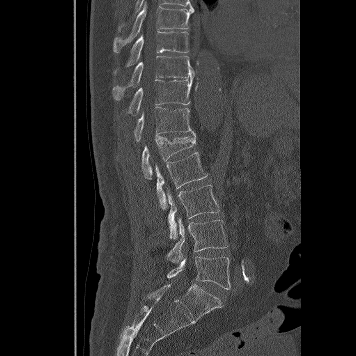 CT, spine — sagittal view
In the table, x1 and y1 are a box's top-left corner and x2 and y2 its bottom-right corner, in pixels.
| vertebra | x1 | y1 | x2 | y2 |
|---|---|---|---|---|
| L5 | 167 | 256 | 230 | 289 |
| L4 | 166 | 217 | 227 | 262 |
| L3 | 166 | 185 | 219 | 239 |
| L2 | 155 | 152 | 207 | 209 |
| L1 | 142 | 133 | 195 | 179 |
| T12 | 134 | 106 | 194 | 141 |
| T11 | 128 | 78 | 192 | 115 |
| T10 | 112 | 56 | 195 | 100 |
| T9 | 114 | 31 | 188 | 73 |
| T8 | 113 | 1 | 194 | 52 |